Spine CT; sagittal view; bone window; 317x559 px
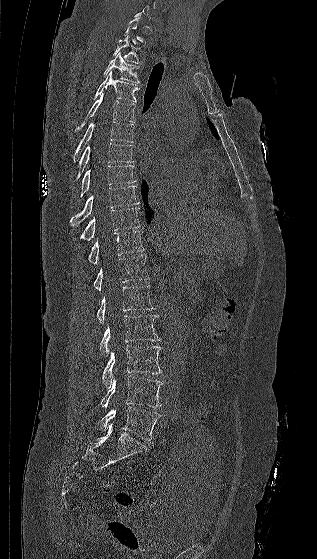

A vertebra gets a box only on the slices from the first to the last where its cross-section is at least a third of its largest; on a slice outside that range it gets none.
<vertebrae><v name="T2" x1="112" y1="36" x2="139" y2="63"/><v name="T3" x1="103" y1="52" x2="140" y2="83"/><v name="T4" x1="94" y1="71" x2="139" y2="102"/><v name="T5" x1="75" y1="93" x2="135" y2="131"/><v name="T6" x1="73" y1="121" x2="134" y2="162"/><v name="T7" x1="74" y1="143" x2="134" y2="181"/><v name="T8" x1="80" y1="165" x2="136" y2="197"/><v name="T9" x1="70" y1="185" x2="139" y2="226"/><v name="T10" x1="73" y1="208" x2="140" y2="241"/><v name="T11" x1="88" y1="231" x2="143" y2="263"/><v name="T12" x1="93" y1="255" x2="150" y2="290"/><v name="L1" x1="96" y1="285" x2="155" y2="323"/><v name="L2" x1="100" y1="314" x2="160" y2="356"/><v name="L3" x1="102" y1="345" x2="162" y2="388"/><v name="L4" x1="101" y1="376" x2="163" y2="408"/><v name="L5" x1="98" y1="407" x2="160" y2="441"/></vertebrae>